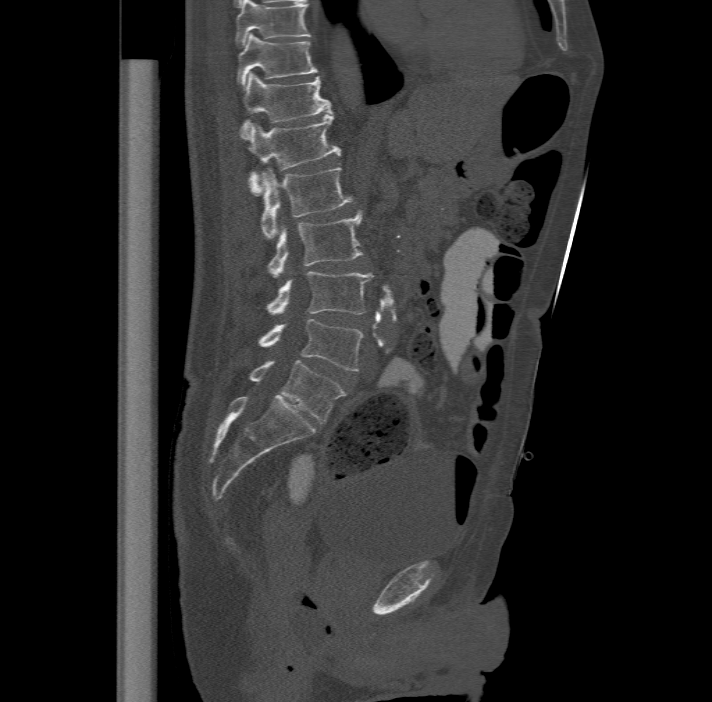

CT, spine. sagittal view. Coordinates as <box>x1,y1,x2,y2</box>.
The highest labeled vertebra in this scan is T11; the lowest is L6.
In these labels the spine has an L6, a sixth lumbar vertebra below L5.
Vertebra bounding boxes:
- L6: <box>249,360,345,422</box>
- L5: <box>259,318,363,370</box>
- L4: <box>267,270,372,314</box>
- L3: <box>268,210,363,276</box>
- L2: <box>261,165,352,238</box>
- L1: <box>248,112,341,193</box>
- T12: <box>241,71,331,136</box>
- T11: <box>238,33,317,85</box>